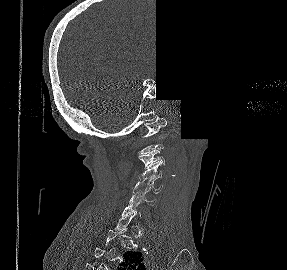 Spine computed tomography. sagittal view. part of the image has been replaced by a constant value
Box values are [left, top, right, bottom] in pixels.
A vertebra gets a box only on the slices from the first to the last where its cross-section is at least a third of its largest; on a slice outside that range it gets none.
{"vertebrae":{"C6":[128,191,156,205],"C5":[133,177,162,194],"C4":[139,162,162,179],"C3":[138,149,164,169],"C1":[141,116,166,137]}}